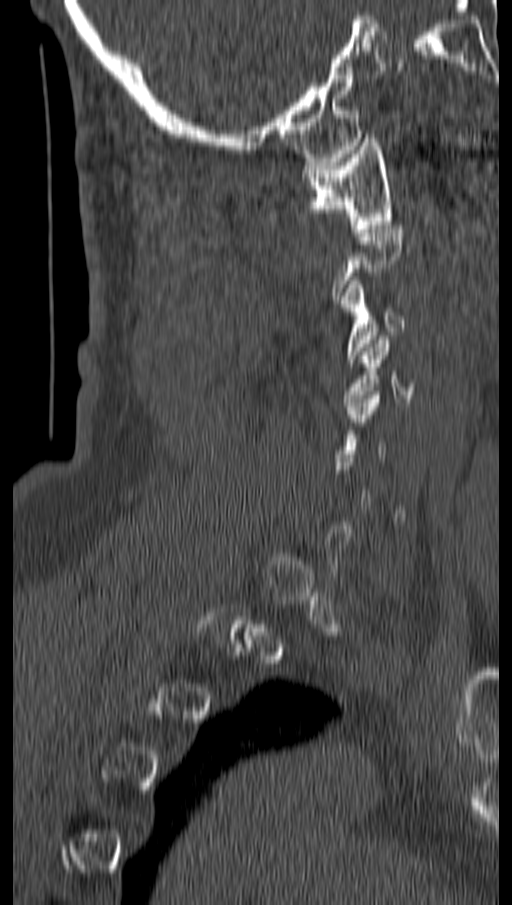

Spine computed tomography — sagittal view — bone-window reconstruction — 512x905 px
Each vertebra maps to its box as [x1, y1, x2, y2], the pixel coordinates of its top-left and bottom-right corners.
A vertebra gets a box only on the slices from the first to the last where its cross-section is at least a third of its largest; on a slice outside that range it gets none.
{"vertebrae":{"C3":[339,280,405,362],"C1":[302,138,392,232]}}